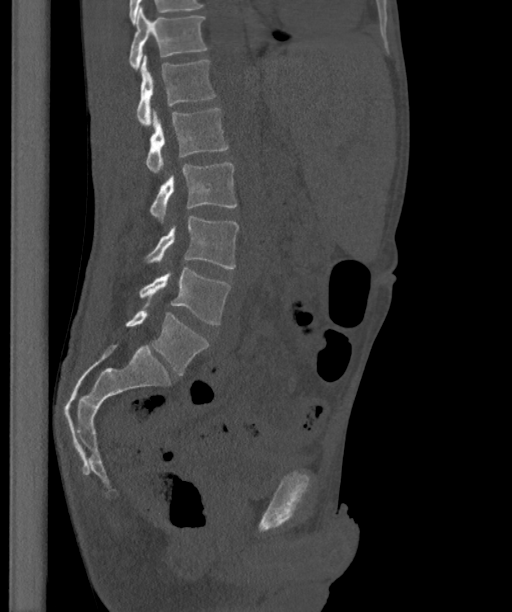

Spine computed tomography; sagittal reformat

In the table, x1 and y1 are a box's top-left corner and x2 and y2 its bottom-right corner, in pixels.
The labels name a sixth lumbar vertebra for this spine: L6, after L5.
| vertebra | x1 | y1 | x2 | y2 |
|---|---|---|---|---|
| T12 | 129 | 8 | 208 | 70 |
| L1 | 136 | 55 | 216 | 127 |
| L2 | 145 | 108 | 229 | 174 |
| L3 | 149 | 162 | 237 | 221 |
| L4 | 144 | 216 | 239 | 268 |
| L5 | 139 | 268 | 230 | 324 |
| L6 | 125 | 310 | 209 | 375 |